Spine CT; sagittal view; 391x670 px
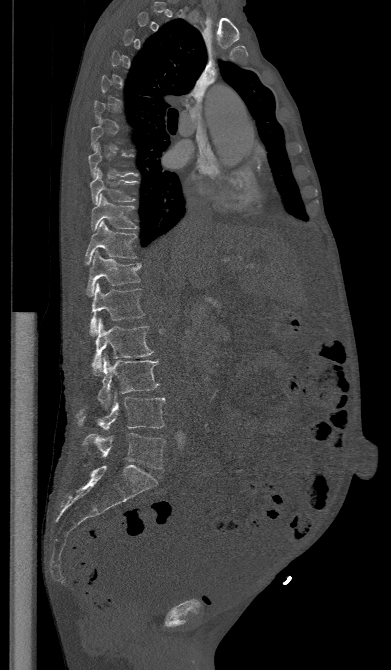 Coordinates as <box>x1,y1,x2,y2</box>.
A vertebra gets a box only on the slices from the first to the last where its cross-section is at least a third of its largest; on a slice outside that range it gets none.
Vertebra bounding boxes:
- T9: <box>89,169,136,204</box>
- T10: <box>91,194,139,230</box>
- T11: <box>84,221,136,264</box>
- T12: <box>87,250,141,296</box>
- L1: <box>90,283,144,336</box>
- L2: <box>91,318,153,375</box>
- L3: <box>98,355,159,409</box>
- L4: <box>77,394,165,430</box>
- L5: <box>83,433,165,468</box>